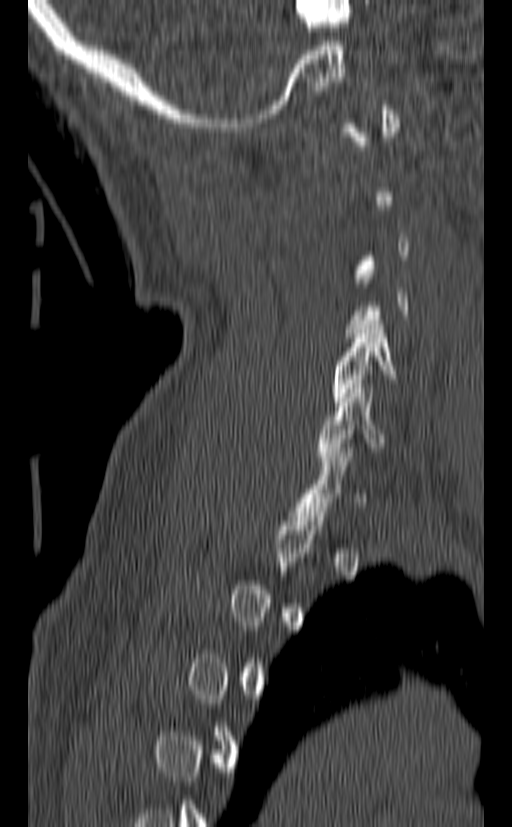

Spine CT. the image spans 140 mm across. sagittal reformat. bone window. Coordinates as <box>x1,y1,x2,y2</box>.
Each vertebra is boxed only on the slices from the first to the last where its cross-section reaches a third of its largest, so a slice outside that range leaves it unboxed.
Vertebra bounding boxes:
- C5: <box>330,320,395,406</box>
- C6: <box>318,384,386,465</box>